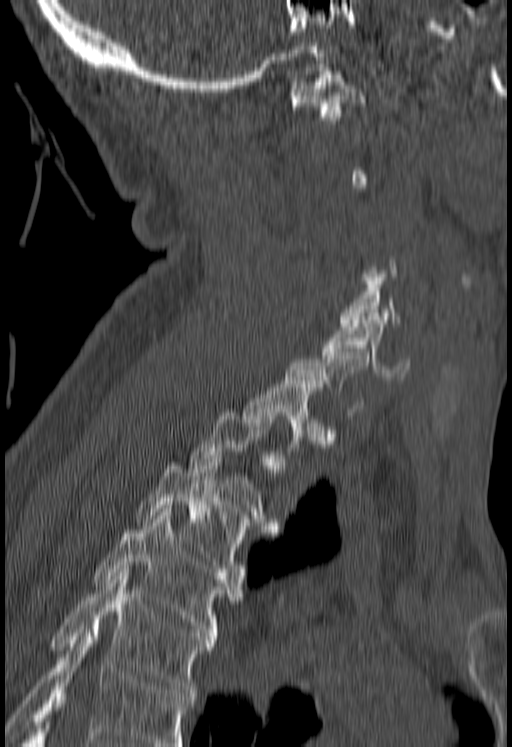 Spine CT. the image is 180 mm wide. sagittal reformat. bone window. 512x747 px. Columns x1, y1, x2, y2 give each box's top-left and bottom-right pixels.
Each vertebra is boxed only on the slices from the first to the last where its cross-section reaches a third of its largest, so a slice outside that range leaves it unboxed.
No box is given to a vertebra that the bottom edge of the scan cuts off.
| vertebra | x1 | y1 | x2 | y2 |
|---|---|---|---|---|
| C1 | 291 | 68 | 367 | 120 |
| C5 | 339 | 270 | 401 | 326 |
| C6 | 321 | 316 | 409 | 379 |
| T1 | 242 | 380 | 321 | 465 |
| T2 | 188 | 412 | 279 | 536 |
| T3 | 137 | 459 | 250 | 575 |
| T4 | 92 | 512 | 242 | 639 |
| T5 | 49 | 569 | 216 | 696 |